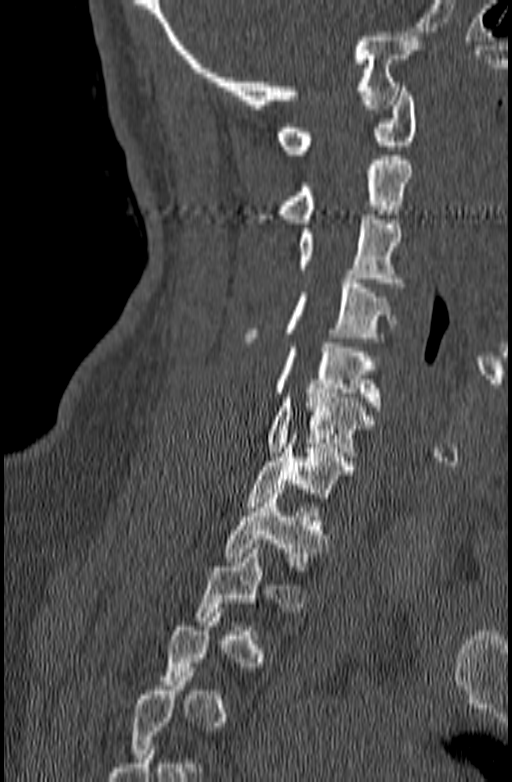 Spine computed tomography · sagittal view · bone-window reconstruction · 512x782 px

Boxes are (x1, y1, x2, y2) in pixels. A vertebra gets a box only on the slices from the first to the last where its cross-section is at least a third of its largest; on a slice outside that range it gets none. 8 vertebrae labeled — C1 at (277, 87, 417, 154); C2 at (257, 155, 413, 223); C3 at (298, 215, 401, 287); C4 at (243, 279, 397, 346); C5 at (272, 343, 382, 410); C6 at (267, 389, 372, 456); C7 at (246, 434, 357, 506); T1 at (224, 489, 326, 570).